CT spine — sagittal view — bone-window reconstruction
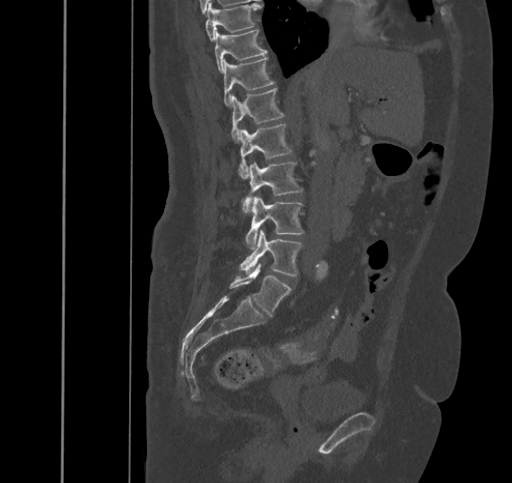
Columns x1, y1, x2, y2 give each box's top-left and bottom-right pixels.
| vertebra | x1 | y1 | x2 | y2 |
|---|---|---|---|---|
| T9 | 206 | 3 | 260 | 40 |
| T10 | 215 | 29 | 267 | 73 |
| T11 | 223 | 57 | 275 | 107 |
| T12 | 231 | 88 | 284 | 143 |
| L1 | 237 | 123 | 291 | 178 |
| L2 | 243 | 162 | 303 | 212 |
| L3 | 245 | 196 | 304 | 249 |
| L4 | 239 | 230 | 302 | 275 |
| L5 | 229 | 264 | 291 | 316 |